CT spine. sagittal reformat. bone window. scan covers 17 annotated vertebrae
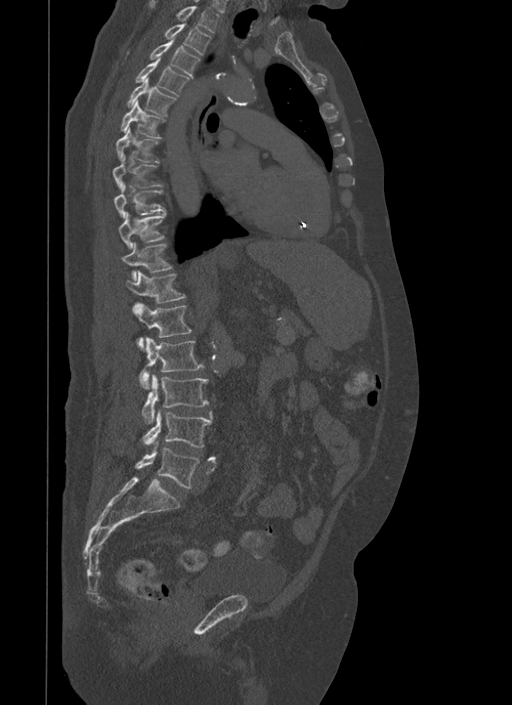

Boxes are (x1, y1, x2, y2) in pixels. 17 vertebrae labeled — T1 at (149, 0, 219, 32); T2 at (165, 23, 210, 54); T3 at (150, 35, 200, 79); T4 at (136, 56, 189, 95); T5 at (126, 77, 175, 116); T6 at (120, 100, 164, 138); T7 at (116, 127, 159, 163); T8 at (112, 155, 161, 188); T9 at (113, 183, 164, 218); T10 at (118, 210, 166, 248); T11 at (121, 242, 172, 281); T12 at (125, 270, 186, 303); L1 at (132, 303, 192, 348); L2 at (140, 337, 203, 388); L3 at (143, 375, 208, 423); L4 at (143, 410, 212, 448); L5 at (136, 441, 199, 487).